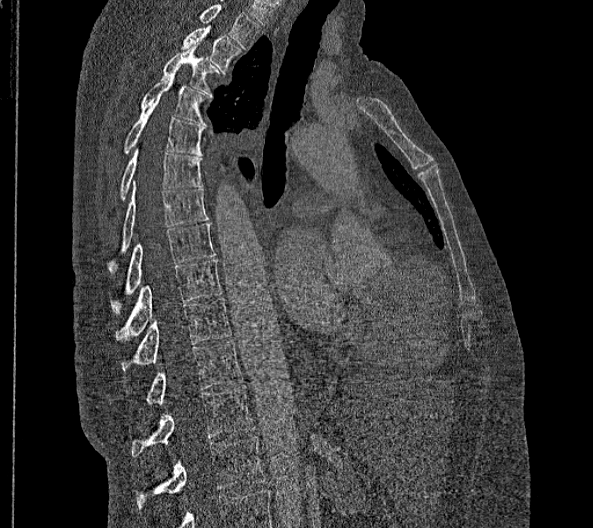 Computed tomography of the spine — sagittal view — 356 mm wide
Each box is [x1, y1, x2, y2] in pixels: top-left corner, then bottom-right corner.
Labels in this scan begin with T2 at the top and end with L2 at the bottom.
In these labels the thoracic vertebrae end at T11, so L1 follows T11.
{"vertebrae":{"T2":[181,25,241,74],"T3":[161,43,218,97],"T4":[141,72,206,125],"T5":[125,97,202,155],"T6":[119,149,201,199],"T7":[107,188,208,273],"T8":[110,223,216,313],"T9":[116,259,221,342],"T10":[121,298,231,371],"T11":[145,340,242,405],"L1":[131,385,254,457],"L2":[134,437,266,511]}}